CT — sagittal view — bone window — 350 mm across the image
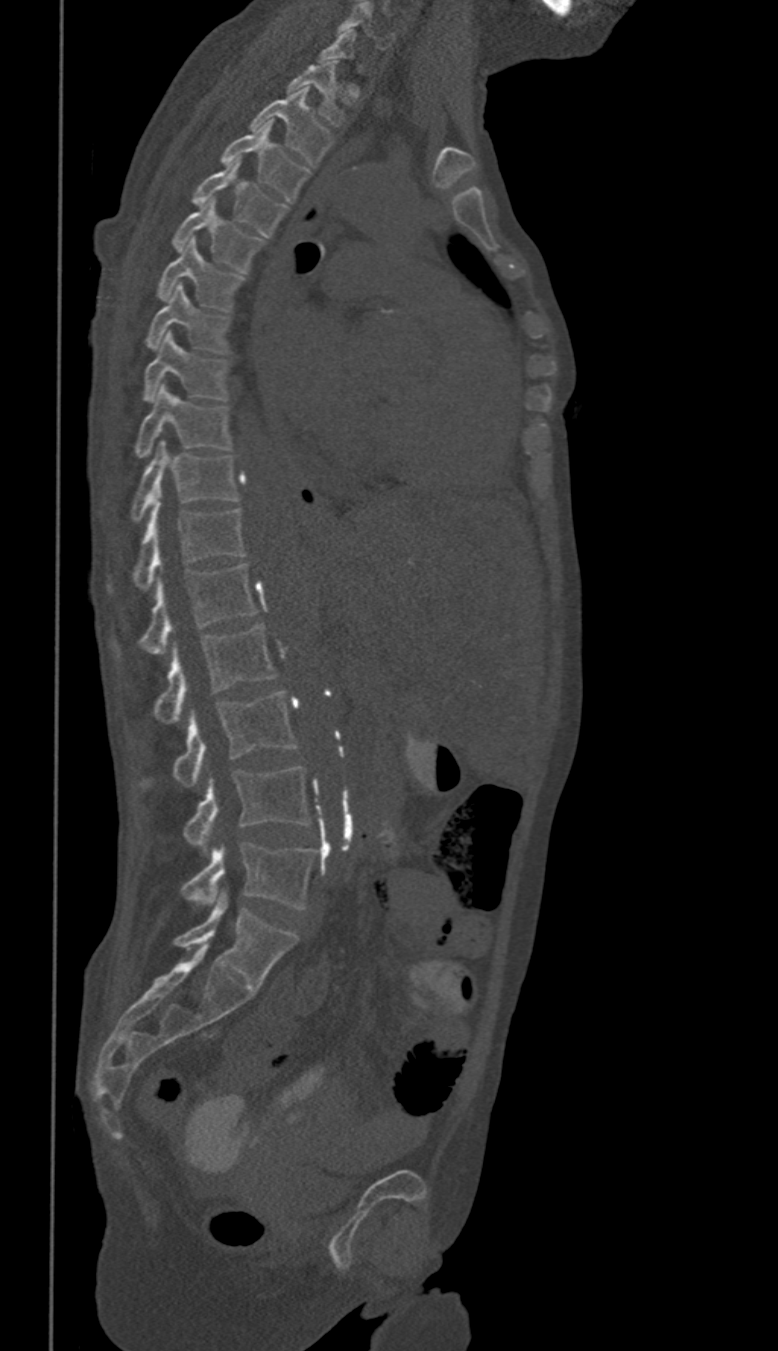 Boxes: x1 y1 x2 y2 (pixel coords, space-separated).
Not every vertebra on this slice has a box: a vertebra is boxed only from the first to the last slice where its cross-section is at least a third of its largest, and this slice is outside that range for at least one of them.
These labels give this spine no T12: after T11 the next vertebra is L1.
Vertebra bounding boxes:
- C6: 340 3 394 48
- T1: 289 60 341 124
- T2: 251 87 330 166
- T3: 222 123 307 202
- T4: 193 158 285 235
- T5: 173 198 263 271
- T6: 160 238 244 308
- T7: 146 285 227 353
- T8: 144 332 225 402
- T9: 135 385 230 457
- T10: 131 440 236 519
- T11: 134 496 244 588
- L1: 141 565 256 655
- L2: 155 625 277 724
- L3: 173 692 297 788
- L4: 184 767 310 853
- L5: 182 843 313 908